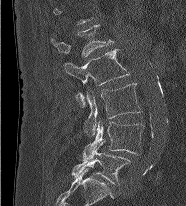
CT, spine · sagittal view
In this scan, the topmost labeled vertebra is L1 and the lowest is L5.
<vertebrae><v name="L1" x1="51" y1="25" x2="113" y2="57"/><v name="L2" x1="63" y1="49" x2="129" y2="107"/><v name="L3" x1="85" y1="83" x2="141" y2="135"/><v name="L4" x1="81" y1="120" x2="144" y2="160"/><v name="L5" x1="70" y1="141" x2="130" y2="184"/></vertebrae>